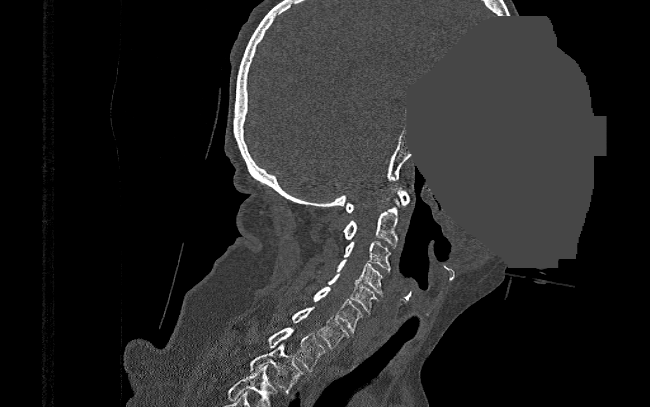
CT, spine; sagittal view; a uniform gray block covers part of the image
Box edges are left/top/right/bottom in pixels. 9 vertebrae labeled — T2 at left=250, top=342, right=302, bottom=393; T1 at left=232, top=327, right=325, bottom=371; C7 at left=293, top=306, right=349, bottom=348; C6 at left=314, top=287, right=361, bottom=333; C5 at left=328, top=274, right=379, bottom=314; C4 at left=336, top=259, right=384, bottom=297; C3 at left=344, top=241, right=395, bottom=272; C2 at left=343, top=199, right=399, bottom=247; C1 at left=345, top=189, right=409, bottom=213.